Spine computed tomography — 445 mm across the image — sagittal view
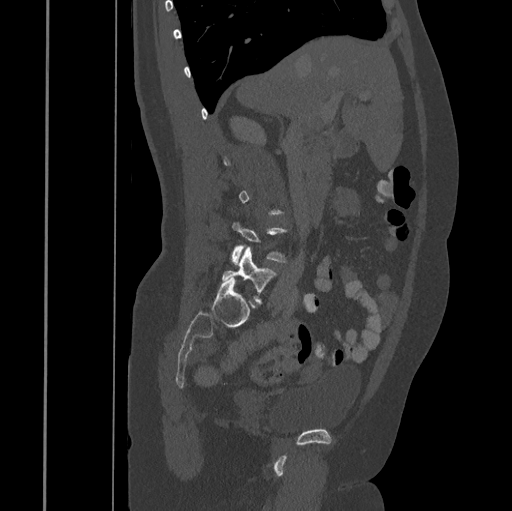 Boxes: x1:y1:x2:y2 in pixels.
A vertebra gets a box only on the slices from the first to the last where its cross-section is at least a third of its largest; on a slice outside that range it gets none.
Vertebra bounding boxes:
- L4: 231:222:287:264
- L5: 222:247:276:302